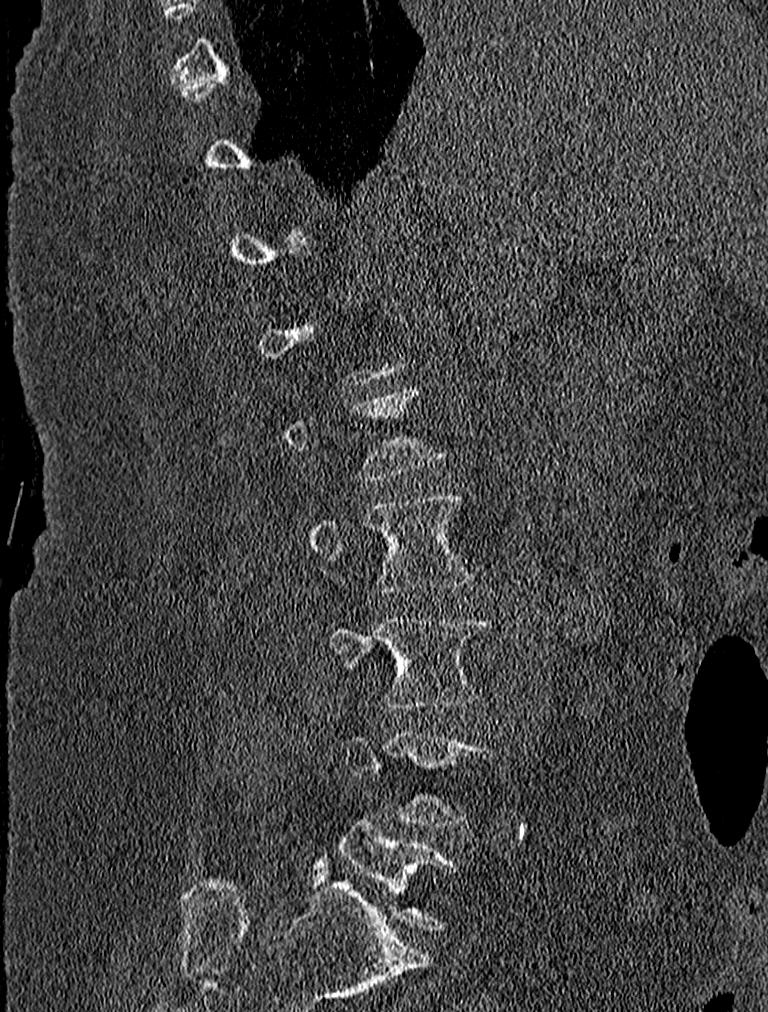 Computed tomography of the spine. sagittal view. bone window. 768x1012 px. 227 mm wide
Boxes are given in columns x1, y1, x2, y2, the pixel coordinates of their top-left and bottom-right corners.
A vertebra gets a box only on the slices from the first to the last where its cross-section is at least a third of its largest; on a slice outside that range it gets none.
| vertebra | x1 | y1 | x2 | y2 |
|---|---|---|---|---|
| L5 | 341 | 821 | 455 | 928 |
| L3 | 327 | 614 | 488 | 708 |
| L2 | 310 | 495 | 471 | 593 |